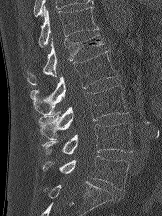

Computed tomography of the spine · sagittal view · 162 mm wide

Each vertebra maps to its box as [x1, y1, x2, y2], the pixel coordinates of its top-left and bottom-right corners.
{"vertebrae":{"T12":[38,6,99,48],"L1":[27,35,105,85],"L2":[30,50,118,115],"L3":[38,85,128,140],"L4":[40,123,132,154],"L5":[42,155,129,190]}}